CT, spine; sagittal reformat; 7 vertebrae labeled in this scan
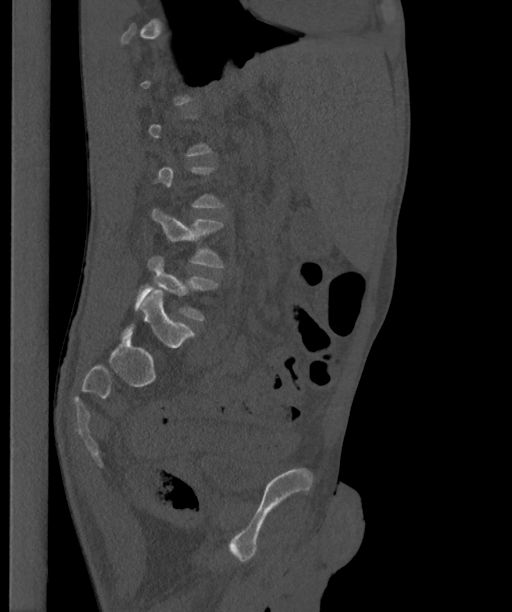
Boxes are (x1, y1, x2, y2) in pixels.
A vertebra gets a box only on the slices from the first to the last where its cross-section is at least a third of its largest; on a slice outside that range it gets none.
The labels name a sixth lumbar vertebra for this spine: L6, after L5.
L6: (122, 289, 195, 347)
L5: (134, 256, 219, 320)
L4: (152, 207, 224, 267)